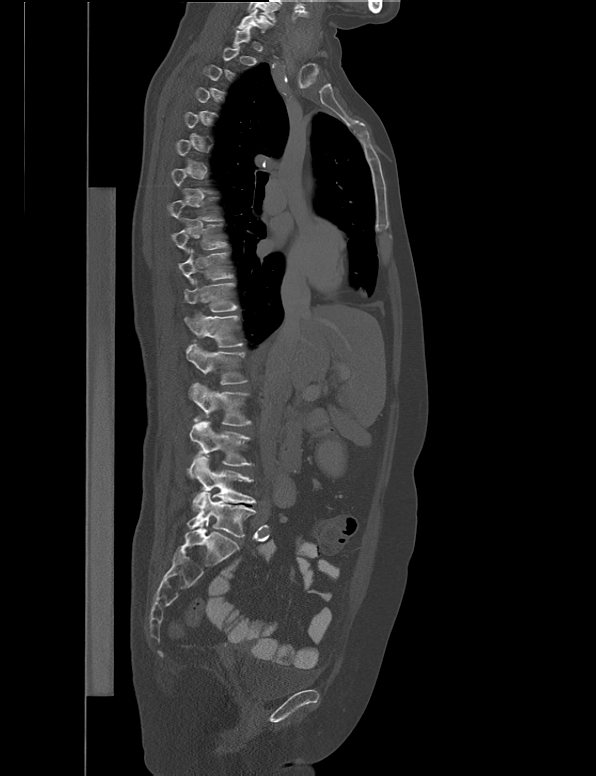
Computed tomography of the spine; sagittal view; bone-window reconstruction; 596x776 px

A vertebra gets a box only on the slices from the first to the last where its cross-section is at least a third of its largest; on a slice outside that range it gets none.
<vertebrae><v name="L5" x1="186" y1="492" x2="255" y2="537"/><v name="L4" x1="186" y1="455" x2="256" y2="512"/><v name="L3" x1="189" y1="421" x2="253" y2="466"/><v name="L2" x1="189" y1="383" x2="251" y2="426"/><v name="L1" x1="186" y1="345" x2="247" y2="383"/><v name="T12" x1="183" y1="311" x2="243" y2="347"/><v name="T11" x1="184" y1="279" x2="236" y2="311"/><v name="T10" x1="178" y1="249" x2="232" y2="284"/><v name="T9" x1="171" y1="223" x2="227" y2="253"/><v name="C7" x1="237" y1="9" x2="273" y2="32"/></vertebrae>